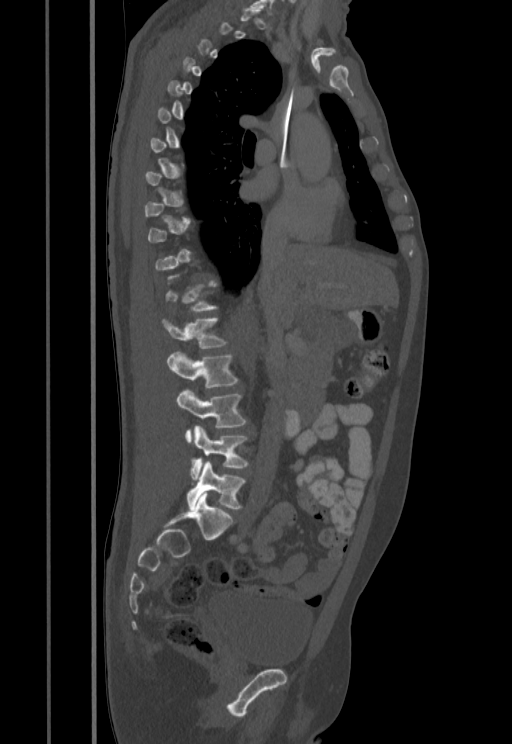
CT spine · sagittal reformat · bone-window reconstruction · 512x744 px

Columns x1, y1, x2, y2 give each box's top-left and bottom-right pixels.
A vertebra gets a box only on the slices from the first to the last where its cross-section is at least a third of its largest; on a slice outside that range it gets none.
| vertebra | x1 | y1 | x2 | y2 |
|---|---|---|---|---|
| T12 | 165 | 281 | 217 | 311 |
| L1 | 161 | 318 | 227 | 348 |
| L2 | 166 | 350 | 239 | 387 |
| L3 | 177 | 388 | 246 | 442 |
| L4 | 190 | 426 | 249 | 480 |
| L5 | 187 | 461 | 245 | 510 |